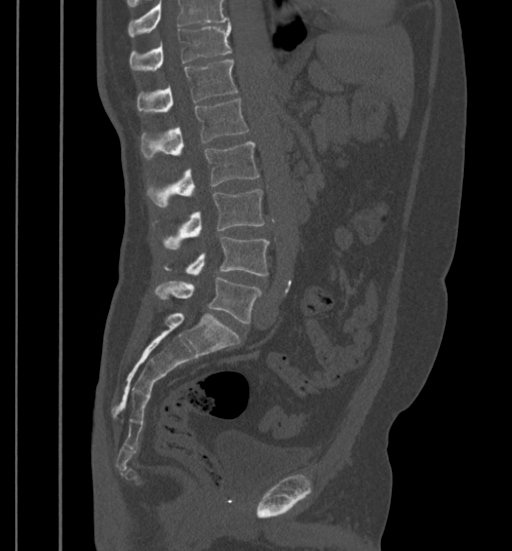
Computed tomography of the spine · sagittal view · bone window

Vertebrae that run past the top of the scan are left unlabeled.
<vertebrae><v name="T11" x1="129" y1="24" x2="231" y2="71"/><v name="T12" x1="137" y1="60" x2="238" y2="112"/><v name="L1" x1="141" y1="99" x2="249" y2="159"/><v name="L2" x1="147" y1="142" x2="259" y2="206"/><v name="L3" x1="164" y1="188" x2="264" y2="248"/><v name="L4" x1="165" y1="236" x2="268" y2="276"/><v name="L5" x1="155" y1="277" x2="261" y2="323"/></vertebrae>